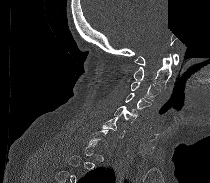
CT spine. sagittal view. the image spans 210 mm across. 210x183 px. part of the image has been replaced by a constant value
Box edges are left/top/right/bottom in pixels.
A vertebra is boxed only from the first to the last slice where its cross-section is at least a third of its largest; slices outside that range leave it without a box.
C1: left=134, top=54, right=178, bottom=65
C2: left=134, top=54, right=172, bottom=88
C3: left=131, top=81, right=160, bottom=100
C4: left=125, top=93, right=151, bottom=109
C5: left=114, top=106, right=138, bottom=122
C6: left=101, top=117, right=125, bottom=138